CT spine; sagittal view; bone-window reconstruction; 512x642 px
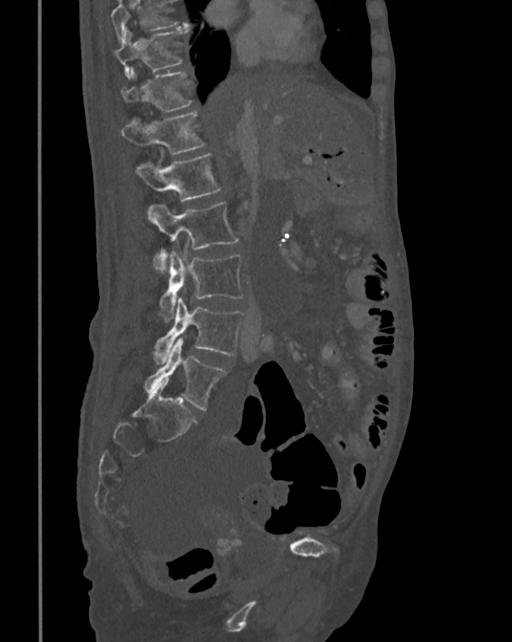 Each box given as x1,y1,x2,y2.
A vertebra cut off by the top edge of the scan is not labeled and has no box.
Vertebra bounding boxes:
- T10: x1=114, y1=26, x2=189, y2=78
- T11: x1=121, y1=69, x2=190, y2=112
- T12: x1=121, y1=111, x2=204, y2=154
- L1: x1=136, y1=153, x2=220, y2=201
- L2: x1=148, y1=202, x2=238, y2=271
- L3: x1=160, y1=252, x2=244, y2=322
- L4: x1=152, y1=299, x2=245, y2=364
- L5: x1=143, y1=337, x2=225, y2=410